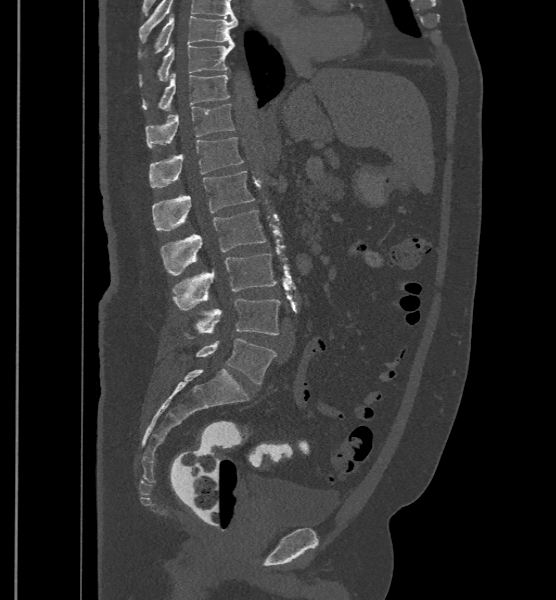

Spine CT — sagittal view — W/L 1800/400 HU — the image spans 500 mm across — 556x600 px
Each vertebra maps to its box as [x1, y1, x2, y2], the pixel coordinates of its top-left and bottom-right corners.
In this scan, the topmost labeled vertebra is T9 and the lowest is L6.
These labels give the spine a sixth lumbar vertebra, L6, below L5.
{"vertebrae":{"T9":[155,13,238,51],"T10":[140,43,234,85],"T11":[142,72,229,110],"T12":[145,103,234,148],"L1":[149,137,243,188],"L2":[152,171,255,231],"L3":[160,210,266,275],"L4":[171,253,277,310],"L5":[183,299,280,339],"L6":[195,339,276,383]}}